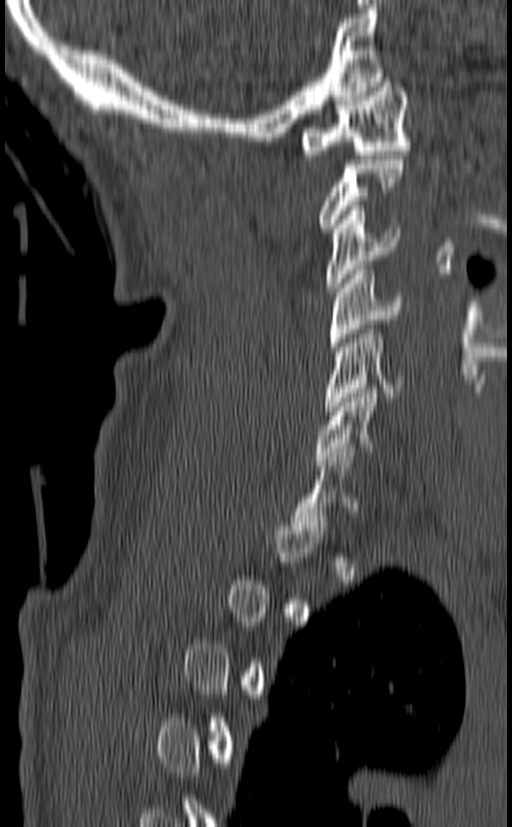
CT spine · sagittal view · the image is 140 mm wide · bone-window reconstruction · 512x827 px

Box edges are left/top/right/bottom in pixels.
Each vertebra is boxed only on the slices from the first to the last where its cross-section reaches a third of its largest, so a slice outside that range leaves it unboxed.
C1: left=301, top=78, right=410, bottom=159
C3: left=325, top=206, right=401, bottom=292
C4: left=329, top=265, right=403, bottom=351
C5: left=324, top=325, right=405, bottom=410
C6: left=314, top=384, right=377, bottom=465
C7: left=291, top=448, right=359, bottom=534